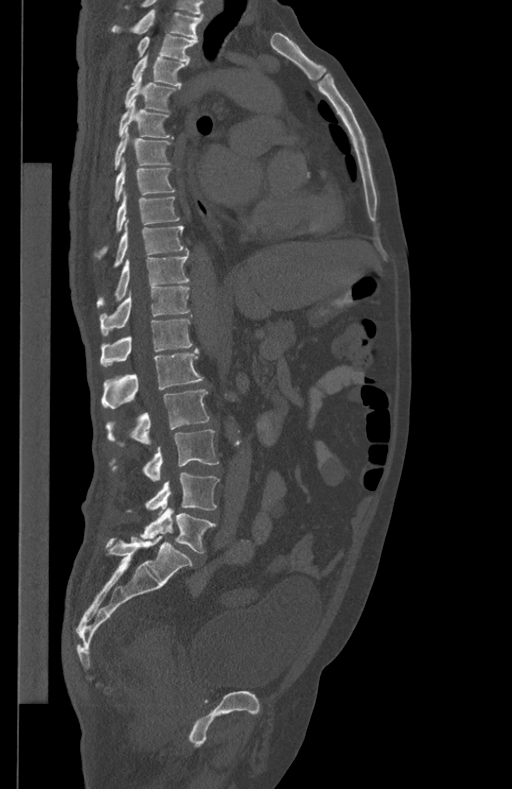

Computed tomography of the spine. sagittal view. Bounding boxes as [x1, y1, x2, y2] in pixel coordinates. The labeled vertebrae in this slice are: T1 at [114, 10, 203, 40], T2 at [138, 34, 197, 62], T3 at [132, 53, 188, 86], T4 at [125, 73, 175, 110], T5 at [119, 99, 172, 138], T6 at [114, 127, 170, 169], T7 at [114, 158, 175, 201], T8 at [101, 191, 179, 254], T9 at [114, 220, 186, 265], T10 at [97, 252, 189, 307], T11 at [100, 287, 189, 335], T12 at [100, 314, 192, 365], L1 at [101, 348, 203, 408], L2 at [105, 389, 209, 446], L3 at [110, 429, 218, 480], L4 at [126, 472, 220, 512], L5 at [139, 509, 216, 553].